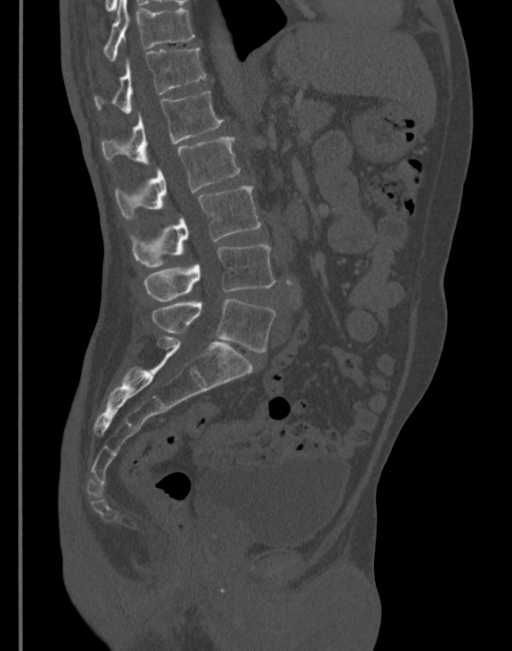 CT, spine — sagittal view — 512x651 px
<vertebrae><v name="T11" x1="104" y1="0" x2="195" y2="61"/><v name="T12" x1="93" y1="49" x2="205" y2="113"/><v name="L1" x1="101" y1="91" x2="223" y2="164"/><v name="L2" x1="116" y1="138" x2="239" y2="220"/><v name="L3" x1="130" y1="186" x2="260" y2="267"/><v name="L4" x1="144" y1="245" x2="275" y2="301"/><v name="L5" x1="151" y1="299" x2="275" y2="352"/></vertebrae>